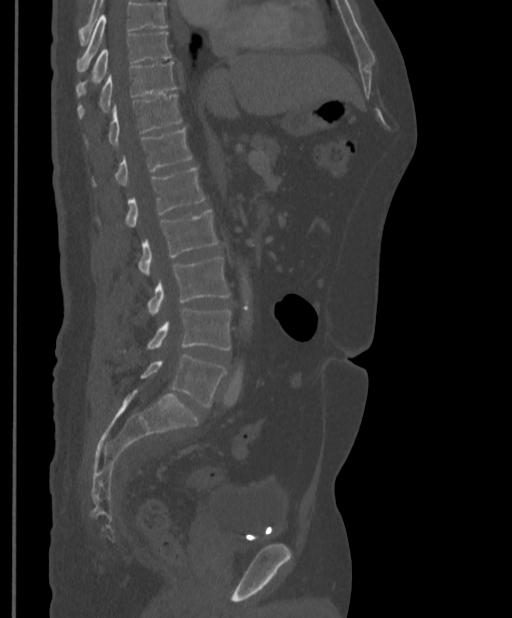
Spine CT; sagittal view; 512x618 px

Each vertebra maps to its box as [x1, y1, x2, y2], the pixel coordinates of its top-left and bottom-right corners.
Where the top of the scan cuts through a vertebra, that vertebra gets no label or box.
{"vertebrae":{"T9":[76,31,172,96],"T10":[77,62,177,118],"T11":[85,94,182,146],"T12":[93,128,191,186],"L1":[125,168,205,226],"L2":[138,209,218,274],"L3":[147,257,230,314],"L4":[147,308,231,350],"L5":[140,355,226,407]}}